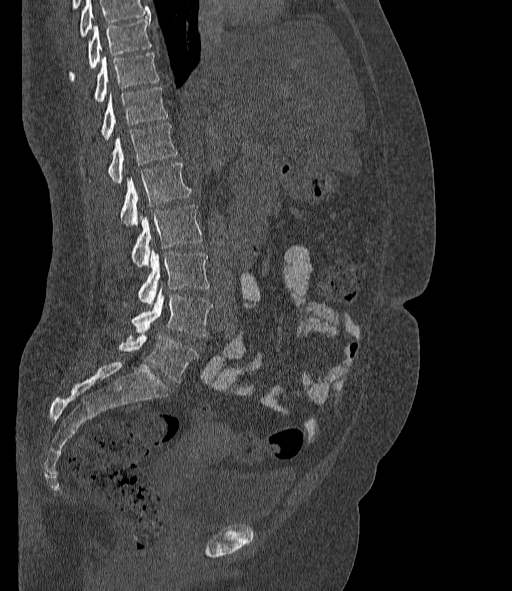

CT · sagittal view · Bone window (WL 400, WW 1800)

Coordinates as <box>x1,y1,x2,y2</box>.
A vertebra cut off by the top edge of the scan is not labeled and has no box.
The labels name a sixth lumbar vertebra for this spine: L6, after L5.
L6: <box>119,333,198,383</box>
L5: <box>132,288,212,337</box>
L4: <box>138,250,209,305</box>
L3: <box>132,205,201,267</box>
L2: <box>121,163,190,226</box>
L1: <box>108,124,177,184</box>
T12: <box>102,87,167,139</box>
T11: <box>94,53,159,102</box>
T10: <box>70,19,151,80</box>